CT; Sagittal slice 299/512; Bone window (WL 400, WW 1800); 412 mm image width
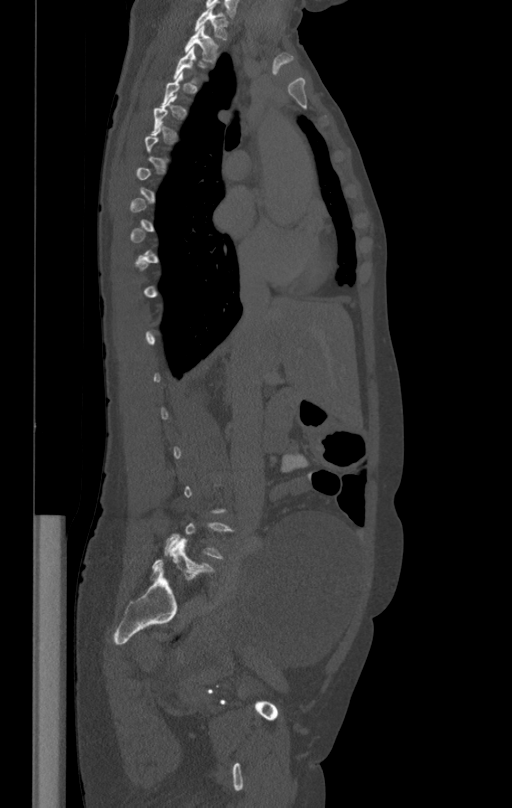

Coordinates as <box>x1,y1,x2,y2</box>.
Each vertebra is boxed only on the slices from the first to the last where its cross-section reaches a third of its largest, so a slice outside that range leaves it unboxed.
Vertebra bounding boxes:
- T2: <box>185,26,220,62</box>
- T1: <box>195,6,231,39</box>